Computed tomography of the spine — sagittal plane, index 162 — 512x1010 px
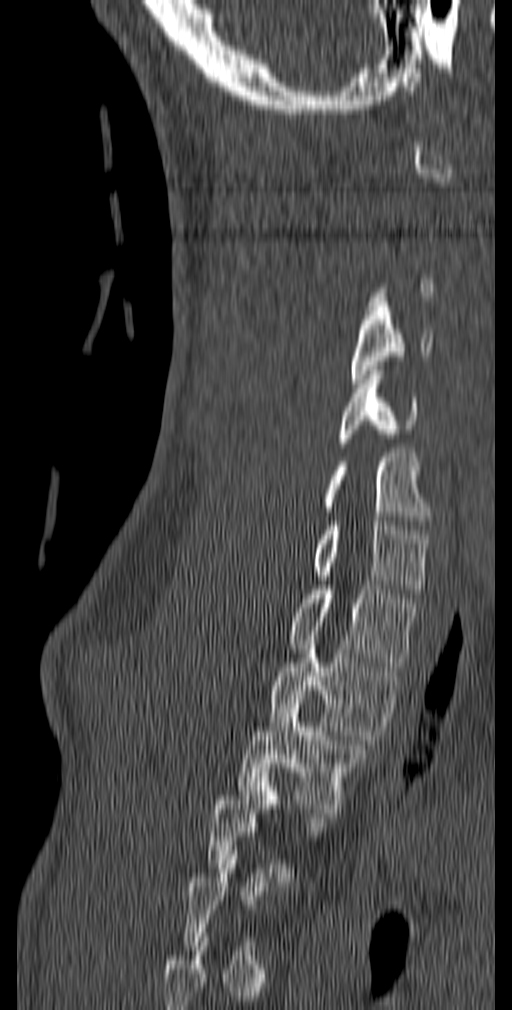
Boxes: x1 y1 x2 y2 (pixel coords, space-separated).
Not every vertebra on this slice has a box: a vertebra is boxed only from the first to the last slice where its cross-section is at least a third of its largest, and this slice is outside that range for at least one of them.
C4: 351 302 432 383
C5: 334 366 417 447
C6: 319 453 432 525
C7: 312 521 430 593
T1: 287 585 418 666
T2: 268 645 402 740
T3: 237 695 369 813
T4: 206 773 327 881